CT spine. sagittal reformat. scan covers 10 annotated vertebrae
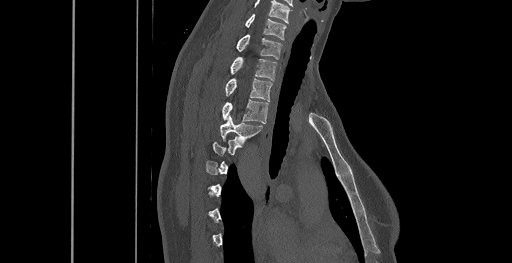
Boxes: x1 y1 x2 y2 (pixel coords, space-separated).
A vertebra is boxed only from the first to the last slice where its cross-section is at least a third of its largest; slices outside that range leave it without a box.
Labels in this scan begin with C6 at the top and end with T8 at the bottom.
C6: 246 14 286 40
C7: 237 34 281 59
T1: 230 56 276 80
T2: 225 79 272 101
T3: 222 100 268 123
T4: 219 116 262 142